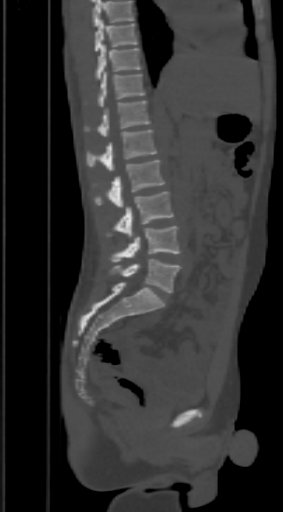
CT, spine; sagittal reformat
In the table, x1 and y1 are a box's top-left corner and x2 and y2 its bottom-right corner, in pixels.
Vertebrae that run past the top of the scan are left unlabeled.
| vertebra | x1 | y1 | x2 | y2 |
|---|---|---|---|---|
| T9 | 95 | 19 | 136 | 52 |
| T10 | 95 | 45 | 139 | 79 |
| T11 | 98 | 72 | 145 | 107 |
| T12 | 84 | 101 | 150 | 137 |
| L1 | 87 | 129 | 156 | 171 |
| L2 | 95 | 159 | 164 | 207 |
| L3 | 115 | 191 | 173 | 236 |
| L4 | 109 | 226 | 181 | 262 |
| L5 | 112 | 259 | 181 | 293 |